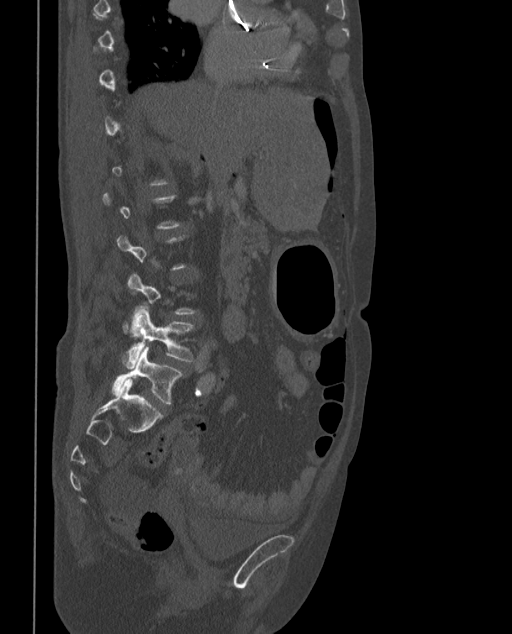

CT spine · sagittal view · W/L 1800/400 HU

Boxes: x1 y1 x2 y2 (pixel coords, space-separated).
Each vertebra is boxed only on the slices from the first to the last where its cross-section reaches a third of its largest, so a slice outside that range leaves it unboxed.
In these labels the spine has an L6, a sixth lumbar vertebra below L5.
L6: 111 347 183 404
L5: 122 304 192 368